CT, spine — sagittal plane, index 209 — 512x732 px — scan covers 9 annotated vertebrae
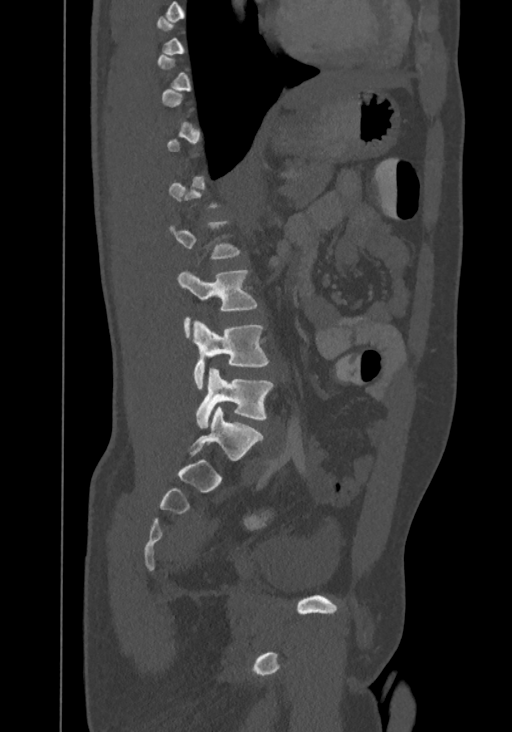 Bounding boxes as [x1, y1, x2, y2] in pixel coordinates.
Each vertebra is boxed only on the slices from the first to the last where its cross-section reaches a third of its largest, so a slice outside that range leaves it unboxed.
Labels in this scan begin with T8 at the top and end with L4 at the bottom.
Vertebra bounding boxes:
- L4: [195, 368, 274, 428]
- L3: [194, 320, 269, 389]
- L2: [177, 269, 258, 338]